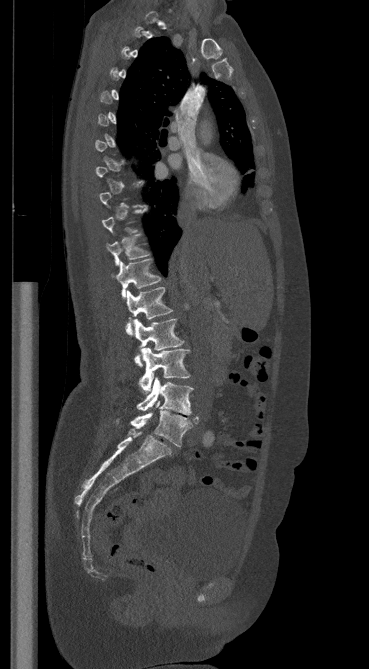 Computed tomography of the spine · sagittal view · 369x669 px · 369 mm wide

Each vertebra is boxed only on the slices from the first to the last where its cross-section reaches a third of its largest, so a slice outside that range leaves it unboxed.
<vertebrae><v name="T11" x1="106" y1="234" x2="148" y2="265"/><v name="T12" x1="115" y1="259" x2="161" y2="298"/><v name="L1" x1="126" y1="287" x2="172" y2="335"/><v name="L2" x1="134" y1="319" x2="184" y2="366"/><v name="L3" x1="139" y1="347" x2="190" y2="392"/><v name="L4" x1="137" y1="377" x2="193" y2="415"/><v name="L5" x1="115" y1="401" x2="198" y2="447"/></vertebrae>